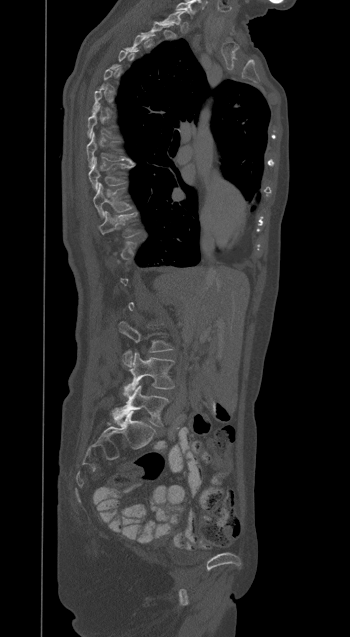

Spine computed tomography; sagittal view; bone window
Each box given as x1,y1,x2,y2.
Each vertebra is boxed only on the slices from the first to the last where its cross-section reaches a third of its largest, so a slice outside that range leaves it unboxed.
L5: x1=115, y1=385, x2=169, y2=426
L4: x1=128, y1=352, x2=174, y2=391
L3: x1=119, y1=321, x2=172, y2=366
T11: x1=99, y1=211, x2=137, y2=237
T10: x1=93, y1=183, x2=131, y2=216
T9: x1=88, y1=158, x2=133, y2=190
T8: x1=86, y1=133, x2=133, y2=167